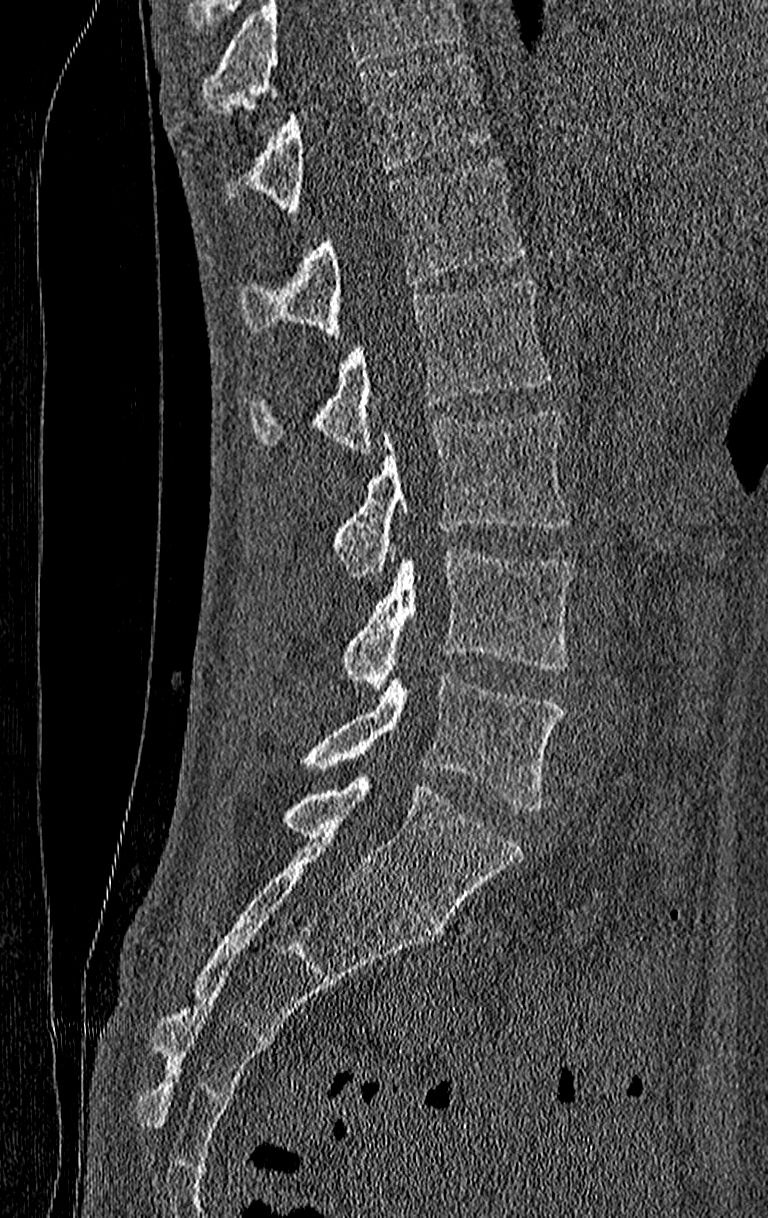

Computed tomography of the spine; sagittal view; bone window
Box edges are left/top/right/bottom in pixels. A vertebra cut off by the top edge of the scan is not labeled and has no box. Labels in this scan begin with T11 at the top and end with L4 at the bottom. 6 vertebrae labeled — T11 at left=251, top=56, right=488, bottom=216; T12 at left=240, top=158, right=524, bottom=336; L1 at left=247, top=278, right=550, bottom=453; L2 at left=335, top=410, right=572, bottom=578; L3 at left=342, top=550, right=572, bottom=692; L4 at left=306, top=673, right=561, bottom=812.